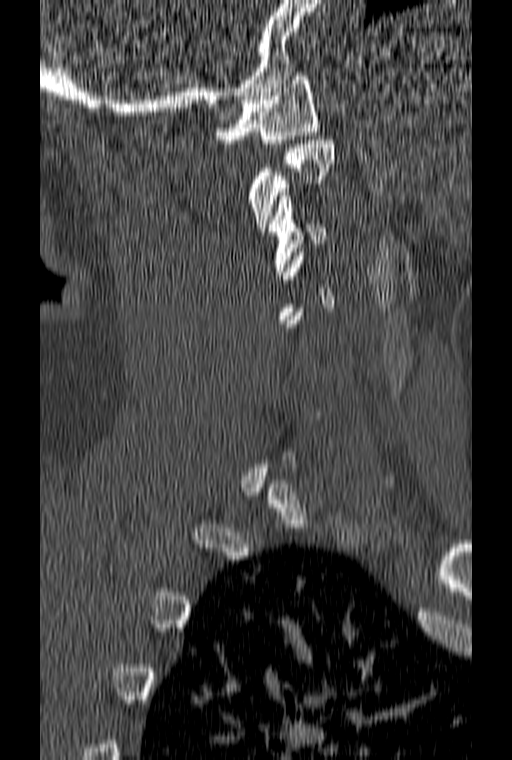
Computed tomography of the spine; sagittal view; bone-window reconstruction; 512x760 px
Box values are [left, top, right, bottom] in pixels.
Each vertebra is boxed only on the slices from the first to the last where its cross-section reaches a third of its largest, so a slice outside that range leaves it unboxed.
{"vertebrae":{"C3":[268,192,325,275],"C2":[248,140,334,231],"C1":[215,72,319,143]}}